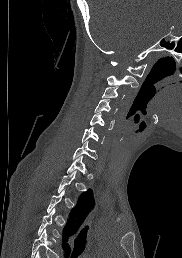

CT, spine · 182 mm image width · sagittal view

Bounding boxes as [x1, y1, x2, y2] in pixel coordinates. A vertebra gets a box only on the slices from the first to the last where its cross-section is at least a third of its largest; on a slice outside that range it gets none. No box is given to a vertebra that the bottom edge of the scan cuts off. 9 vertebrae labeled — C1 at [111, 61, 146, 77]; C2 at [107, 75, 139, 87]; C3 at [102, 86, 124, 97]; C4 at [94, 99, 117, 112]; C5 at [89, 112, 113, 129]; C6 at [81, 126, 104, 143]; C7 at [73, 140, 96, 159]; T1 at [66, 155, 86, 174]; T4 at [37, 208, 60, 237].